Computed tomography of the spine — sagittal reformat
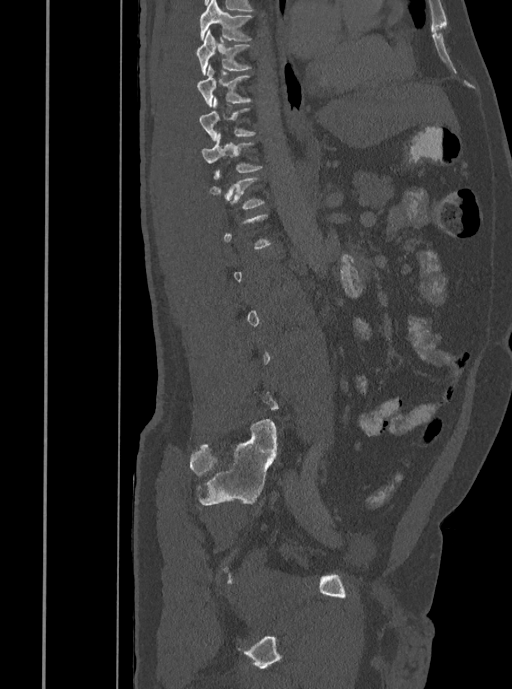 Box edges are left/top/right/bottom in pixels.
A vertebra is boxed only from the first to the last slice where its cross-section is at least a third of its largest; slices outside that range leave it without a box.
| vertebra | x1 | y1 | x2 | y2 |
|---|---|---|---|---|
| T7 | 199 | 0 | 252 | 41 |
| T8 | 197 | 28 | 251 | 75 |
| T9 | 197 | 63 | 251 | 107 |
| T10 | 199 | 97 | 255 | 141 |
| T11 | 202 | 133 | 262 | 179 |